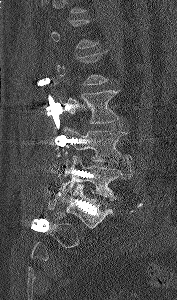
Computed tomography of the spine · sagittal view · bone-window reconstruction · 177x300 px
Boxes: x1 y1 x2 y2 (pixel coords, space-separated).
Each vertebra is boxed only on the slices from the first to the last where its cross-section reaches a third of its largest, so a slice outside that range leaves it unboxed.
Vertebra bounding boxes:
- L3: 60 90 120 123
- L4: 62 125 130 165
- L5: 61 156 131 200